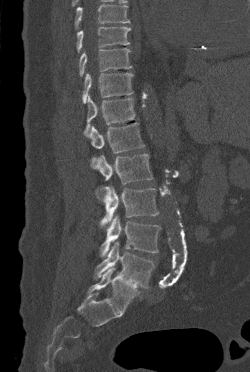
Computed tomography of the spine; sagittal view; W/L 1800/400 HU; 250x372 px; image 250 mm wide
Where the top of the scan cuts through a vertebra, that vertebra gets no label or box.
<vertebrae><v name="T9" x1="76" y1="26" x2="131" y2="52"/><v name="T10" x1="79" y1="48" x2="132" y2="76"/><v name="T11" x1="82" y1="73" x2="133" y2="103"/><v name="T12" x1="84" y1="95" x2="135" y2="136"/><v name="L1" x1="89" y1="122" x2="144" y2="168"/><v name="L2" x1="96" y1="153" x2="152" y2="184"/><v name="L3" x1="100" y1="186" x2="159" y2="226"/><v name="L4" x1="100" y1="215" x2="161" y2="257"/><v name="L5" x1="94" y1="241" x2="154" y2="288"/></vertebrae>